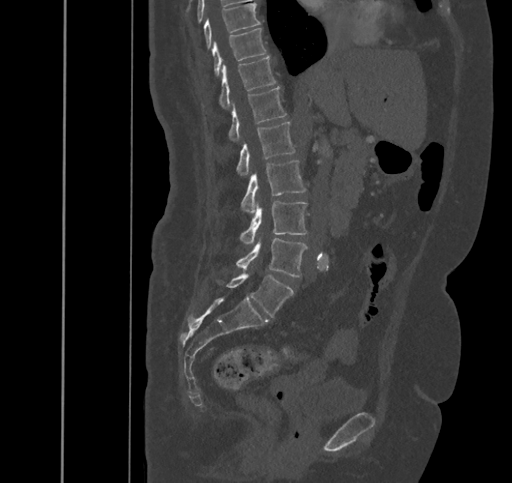

CT; sagittal view; 512x483 px. Bounding boxes as [x1, y1, x2, y2] in pixel coordinates. 9 vertebrae labeled — L5 at [218, 271, 293, 317]; L4 at [236, 238, 307, 277]; L3 at [240, 201, 307, 243]; L2 at [242, 161, 306, 212]; L1 at [237, 121, 295, 174]; T12 at [229, 87, 287, 141]; T11 at [220, 56, 276, 108]; T10 at [212, 28, 266, 75]; T9 at [204, 3, 260, 47].